Spine computed tomography; sagittal reformat; W/L 1800/400 HU
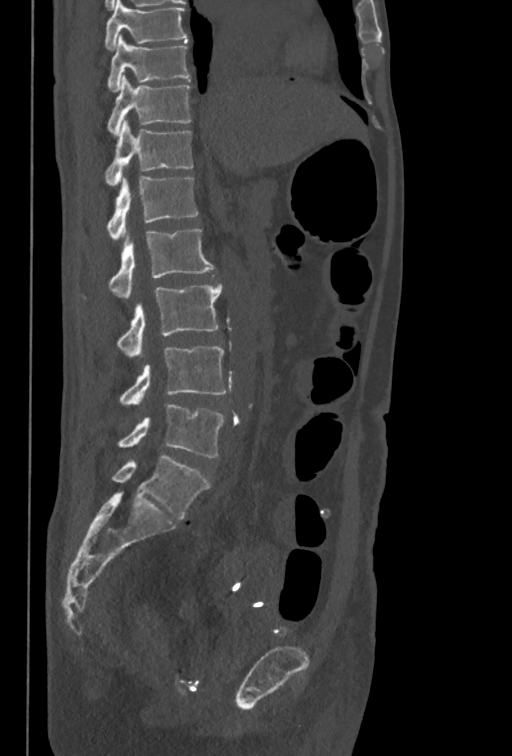
Coordinates as <box>x1,y1,x2,y2</box>.
The highest labeled vertebra in this scan is T10; the lowest is L5.
Vertebra bounding boxes:
- L5: <box>118,404,223,457</box>
- L4: <box>120,346,226,407</box>
- L3: <box>117,284,221,357</box>
- L2: <box>83,229,213,298</box>
- L1: <box>107,176,198,240</box>
- T12: <box>105,120,193,186</box>
- T11: <box>108,75,190,136</box>
- T10: <box>108,34,189,91</box>